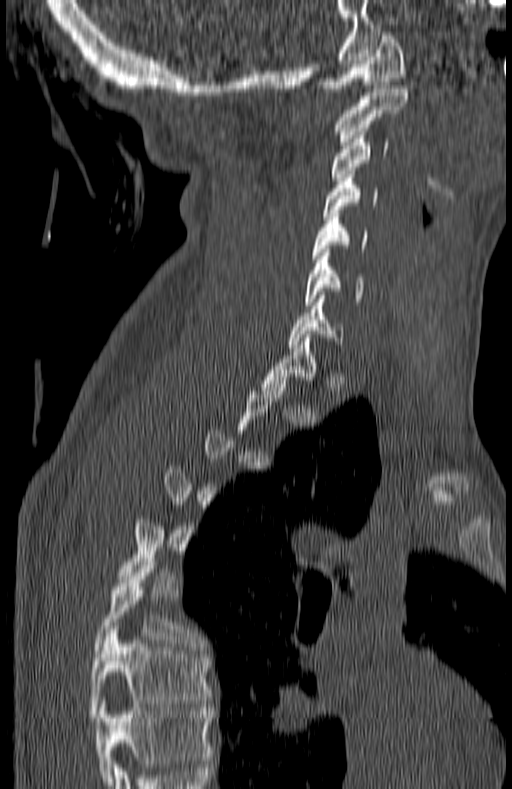 CT, spine; sagittal view; 512x789 px. Each box given as x1,y1,x2,y2.
A vertebra gets a box only on the slices from the first to the last where its cross-section is at least a third of its largest; on a slice outside that range it gets none.
In this scan, the topmost labeled vertebra is C1 and the lowest is T7.
| vertebra | x1 | y1 | x2 | y2 |
|---|---|---|---|---|
| C1 | 322 | 32 | 406 | 91 |
| C2 | 337 | 85 | 407 | 141 |
| C3 | 331 | 132 | 390 | 184 |
| C4 | 322 | 171 | 378 | 219 |
| C5 | 311 | 210 | 367 | 259 |
| C6 | 305 | 249 | 364 | 305 |
| C7 | 288 | 295 | 344 | 347 |
| T6 | 92 | 558 | 201 | 653 |
| T7 | 89 | 626 | 210 | 721 |